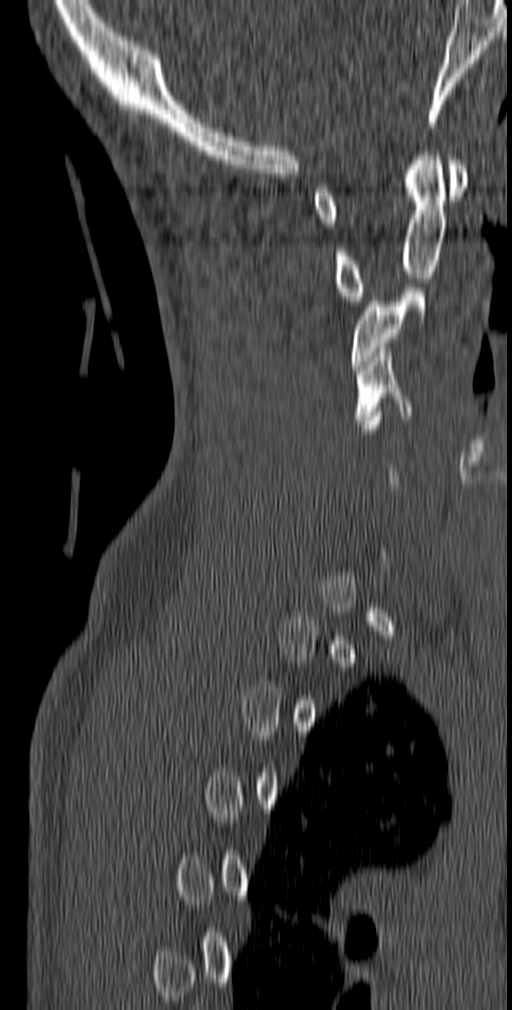

CT spine; sagittal view; W/L 1800/400 HU

A vertebra is boxed only from the first to the last slice where its cross-section is at least a third of its largest; slices outside that range leave it without a box.
<vertebrae><v name="C1" x1="312" y1="160" x2="469" y2="228"/><v name="C2" x1="334" y1="151" x2="445" y2="301"/><v name="C3" x1="351" y1="288" x2="428" y2="369"/><v name="C4" x1="353" y1="347" x2="411" y2="424"/></vertebrae>